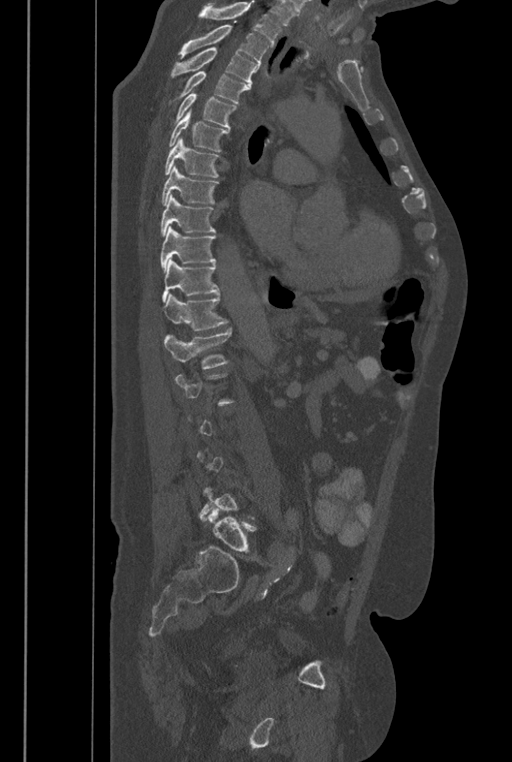 CT spine. the image spans 446 mm across. sagittal view. 512x762 px
Boxes: x1:y1:x2:y2 in pixels.
A vertebra is boxed only from the first to the last slice where its cross-section is at least a third of its largest; slices outside that range leave it without a box.
No box is given to a vertebra that the top edge of the scan cuts off.
The labels name a sixth lumbar vertebra for this spine: L6, after L5.
T2: 178:25:269:70
T3: 171:48:257:89
T4: 170:71:248:106
T5: 173:91:237:132
T6: 168:108:228:151
T7: 164:138:220:177
T8: 161:165:219:205
T9: 161:194:215:236
T10: 161:226:216:272
T11: 162:258:219:302
T12: 161:293:227:330
L1: 164:329:231:369
L6: 208:507:255:553